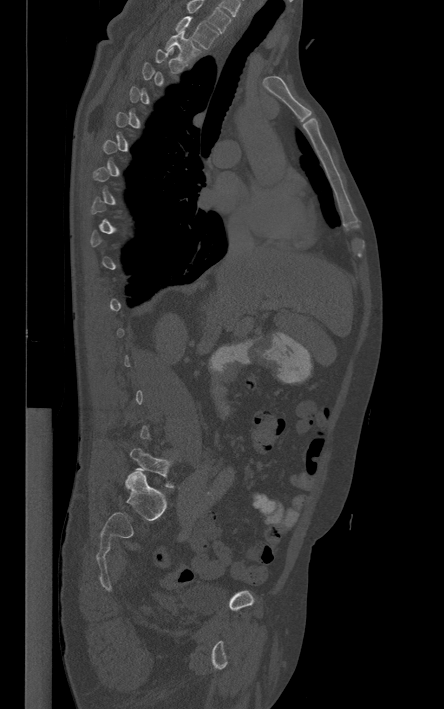
Spine CT — sagittal view — the image is 444 mm wide — Bone window (WL 400, WW 1800)

Box edges are left/top/right/bottom in pixels.
Not every vertebra on this slice has a box: a vertebra is boxed only from the first to the last slice where its cross-section is at least a third of its largest, and this slice is outside that range for at least one of them.
The highest labeled vertebra in this scan is T1; the lowest is L5.
| vertebra | x1 | y1 | x2 | y2 |
|---|---|---|---|---|
| L5 | 130 | 449 | 173 | 487 |
| T2 | 165 | 30 | 200 | 63 |
| T1 | 176 | 16 | 218 | 48 |